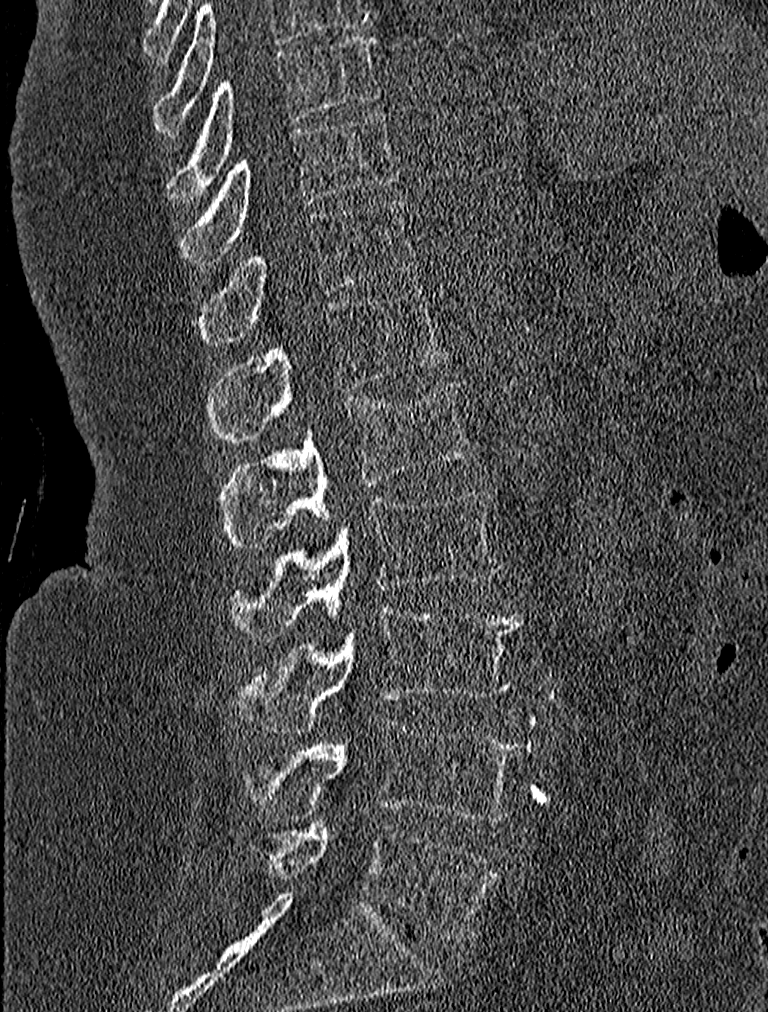

Spine computed tomography — sagittal view — bone-window reconstruction — 768x1012 px
Boxes are (x1, y1, x2, y2) in pixels. 9 vertebrae labeled — T9 at (168, 33, 380, 206); T10 at (178, 111, 400, 262); T11 at (195, 199, 417, 345); T12 at (209, 288, 448, 439); L1 at (219, 379, 475, 546); L2 at (232, 490, 502, 640); L3 at (239, 607, 522, 731); L4 at (246, 722, 520, 823); L5 at (266, 821, 499, 938).